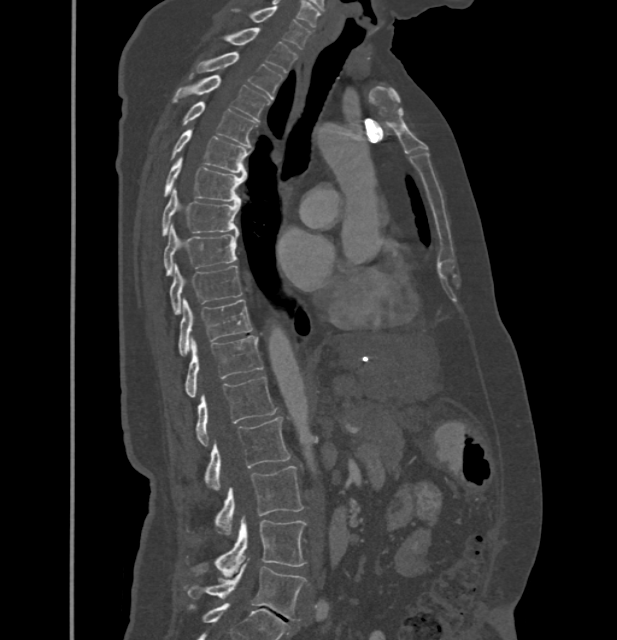 CT · sagittal view · bone window
In these labels the spine has no T12: the thoracic vertebrae end at T11, and L1 comes next.
<vertebrae><v name="C7" x1="251" y1="7" x2="310" y2="49"/><v name="T1" x1="225" y1="27" x2="298" y2="72"/><v name="T2" x1="195" y1="52" x2="282" y2="98"/><v name="T3" x1="171" y1="75" x2="269" y2="121"/><v name="T4" x1="181" y1="102" x2="257" y2="146"/><v name="T5" x1="170" y1="130" x2="247" y2="172"/><v name="T6" x1="163" y1="157" x2="245" y2="202"/><v name="T7" x1="162" y1="189" x2="240" y2="235"/><v name="T8" x1="164" y1="225" x2="236" y2="275"/><v name="T9" x1="170" y1="266" x2="241" y2="314"/><v name="T10" x1="178" y1="299" x2="252" y2="356"/><v name="T11" x1="186" y1="336" x2="263" y2="396"/><v name="L1" x1="195" y1="376" x2="276" y2="445"/><v name="L2" x1="204" y1="417" x2="291" y2="489"/><v name="L3" x1="215" y1="466" x2="303" y2="534"/><v name="L4" x1="188" y1="519" x2="306" y2="575"/><v name="L5" x1="184" y1="563" x2="306" y2="621"/></vertebrae>